CT spine · sagittal reformat · Bone window (WL 400, WW 1800) · 291x291 px · 6 vertebrae labeled in this scan
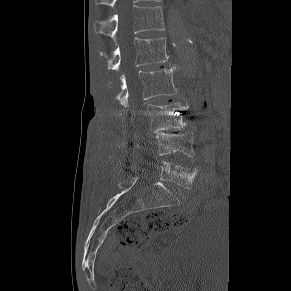 Each box given as x1,y1,x2,y2.
Vertebra bounding boxes:
- T12: x1=94, y1=5, x2=165, y2=45
- L1: x1=99, y1=37, x2=168, y2=70
- L2: x1=115, y1=67, x2=176, y2=107
- L3: x1=147, y1=101, x2=188, y2=132
- L4: x1=156, y1=131, x2=193, y2=161
- L5: x1=131, y1=161, x2=197, y2=188